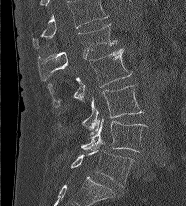 Spine CT; sagittal view; 186x206 px
Box values are [left, top, right, bottom] in pixels.
The highest labeled vertebra in this scan is L1; the lowest is L5.
{"vertebrae":{"L5":[70,150,134,187],"L4":[81,119,149,152],"L3":[59,85,143,134],"L2":[47,48,132,108],"L1":[38,23,116,81]}}